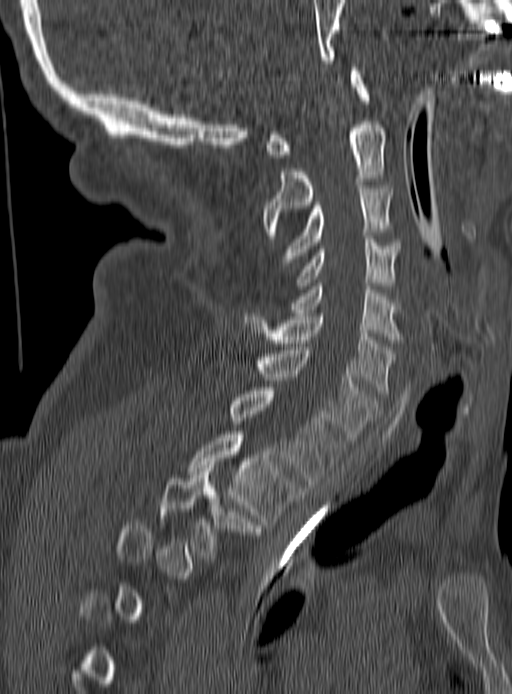
Spine computed tomography; sagittal reformat
Each box is [x1, y1, x2, y2] in pixels: top-left corner, then bottom-right corner.
Each vertebra is boxed only on the slices from the first to the last where its cross-section reaches a third of its largest, so a slice outside that range leaves it unboxed.
{"vertebrae":{"T3":[160,468,261,558],"T2":[189,431,304,524],"T1":[230,387,342,484],"C7":[251,350,377,444],"C6":[243,313,394,393],"C5":[292,283,399,339],"C4":[297,236,399,289],"C3":[282,185,391,265],"C2":[262,121,385,238],"C1":[264,71,369,157]}}